Computed tomography of the spine — Sagittal slice 189/365 — bone window
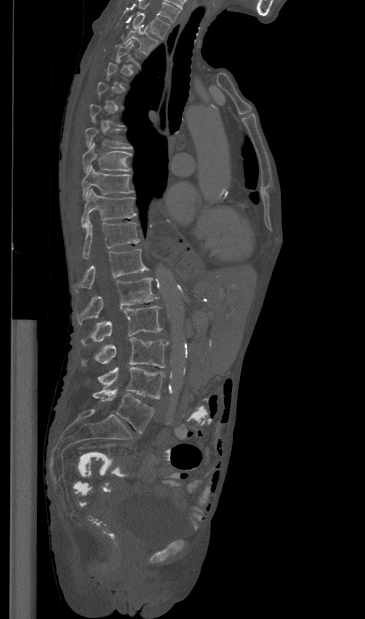
Boxes below are [x1, y1, x2, y2] in pixels.
A vertebra gets a box only on the slices from the first to the last where its cross-section is at least a third of its largest; on a slice outside that range it gets none.
Labels in this scan begin with T1 at the top and end with L5 at the bottom.
{"vertebrae":{"L5":[93,388,154,433],"L4":[98,367,164,398],"L3":[82,337,168,367],"L2":[81,306,162,344],"L1":[77,278,158,324],"T12":[74,249,148,291],"T11":[82,221,139,258],"T10":[81,188,136,227],"T9":[82,165,133,199],"T8":[82,143,131,173],"T7":[85,128,132,149],"T2":[123,25,158,53],"T1":[133,13,170,38]}}